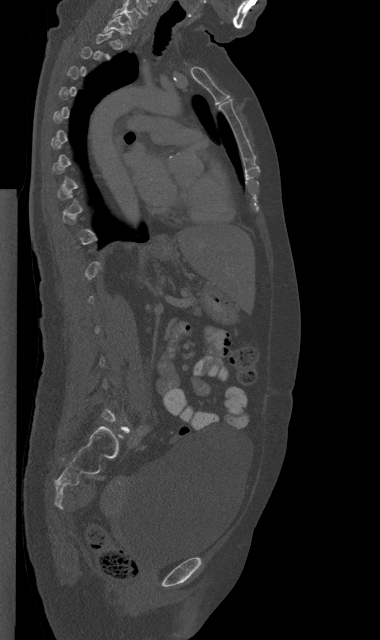
Spine CT · sagittal reformat · W/L 1800/400 HU · 380x640 px
Boxes below are [x1, y1, x2, y2] in pixels.
A vertebra is boxed only from the first to the last slice where its cross-section is at least a third of its largest; slices outside that range leave it without a box.
{"vertebrae":{"C7":[113,4,141,27],"T1":[102,16,130,42]}}